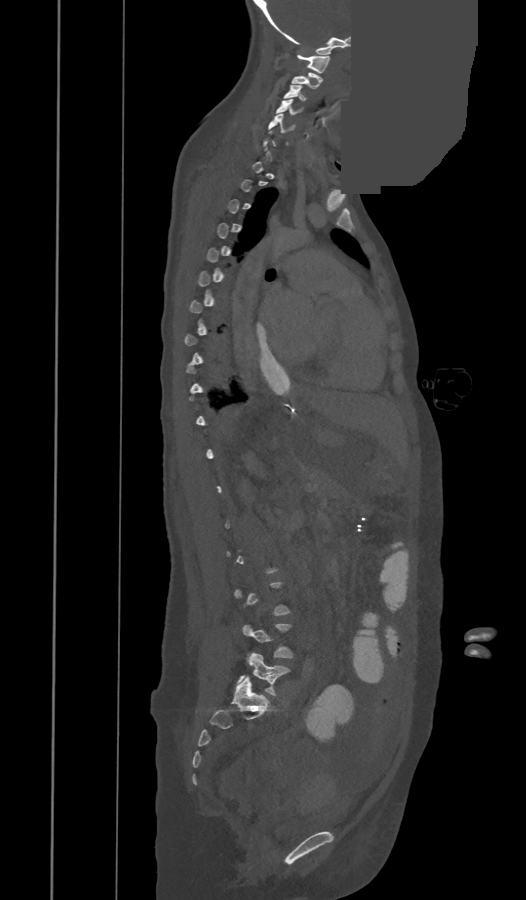

Computed tomography of the spine. sagittal view. bone-window reconstruction. some of the image was removed or blocked out with constant pixels

Coordinates as <box>x1,y1,x2,y2</box>.
A vertebra gets a box only on the slices from the first to the last where its cross-section is at least a third of its largest; on a slice outside that range it gets none.
Vertebra bounding boxes:
- C1: <box>297,55,330,73</box>
- C2: <box>292,72,322,88</box>
- C3: <box>284,85,306,101</box>
- C4: <box>276,99,297,115</box>
- C5: <box>269,113,294,132</box>
- L5: <box>239,653,288,695</box>